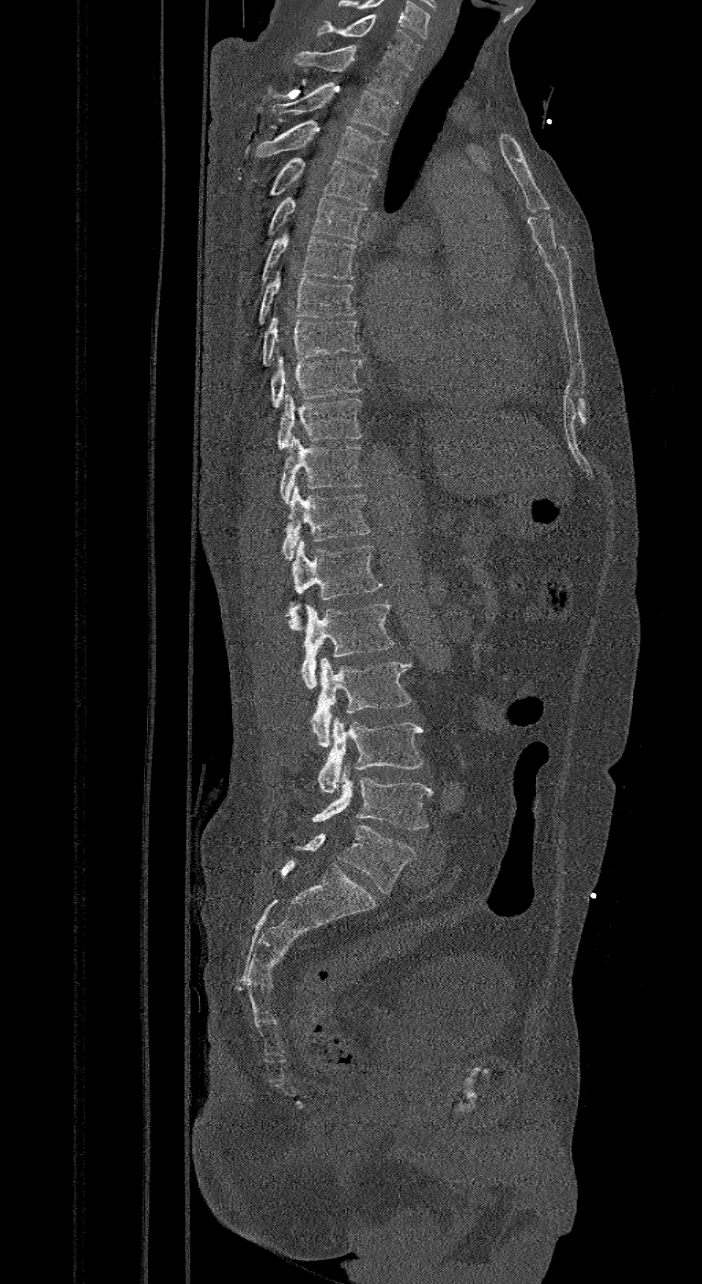
Computed tomography of the spine. sagittal view. 421 mm across the image. Each box given as x1,y1,x2,y2.
The labels name a sixth lumbar vertebra for this spine: L6, after L5.
C7: x1=317, y1=15, x2=422, y2=69
T1: x1=292, y1=45, x2=407, y2=103
T2: x1=270, y1=82, x2=395, y2=135
T3: x1=255, y1=119, x2=384, y2=172
T4: x1=266, y1=157, x2=376, y2=205
T5: x1=267, y1=186, x2=366, y2=240
T6: x1=247, y1=230, x2=355, y2=303
T7: x1=259, y1=272, x2=355, y2=325
T8: x1=263, y1=312, x2=359, y2=366
T9: x1=270, y1=352, x2=362, y2=407
T10: x1=277, y1=390, x2=361, y2=448
T11: x1=280, y1=433, x2=364, y2=503
T12: x1=281, y1=485, x2=370, y2=560
L1: x1=286, y1=541, x2=383, y2=630
L2: x1=301, y1=600, x2=394, y2=688
L3: x1=311, y1=658, x2=410, y2=747
L4: x1=318, y1=716, x2=424, y2=793
L5: x1=311, y1=766, x2=432, y2=828
L6: x1=281, y1=824, x2=416, y2=893